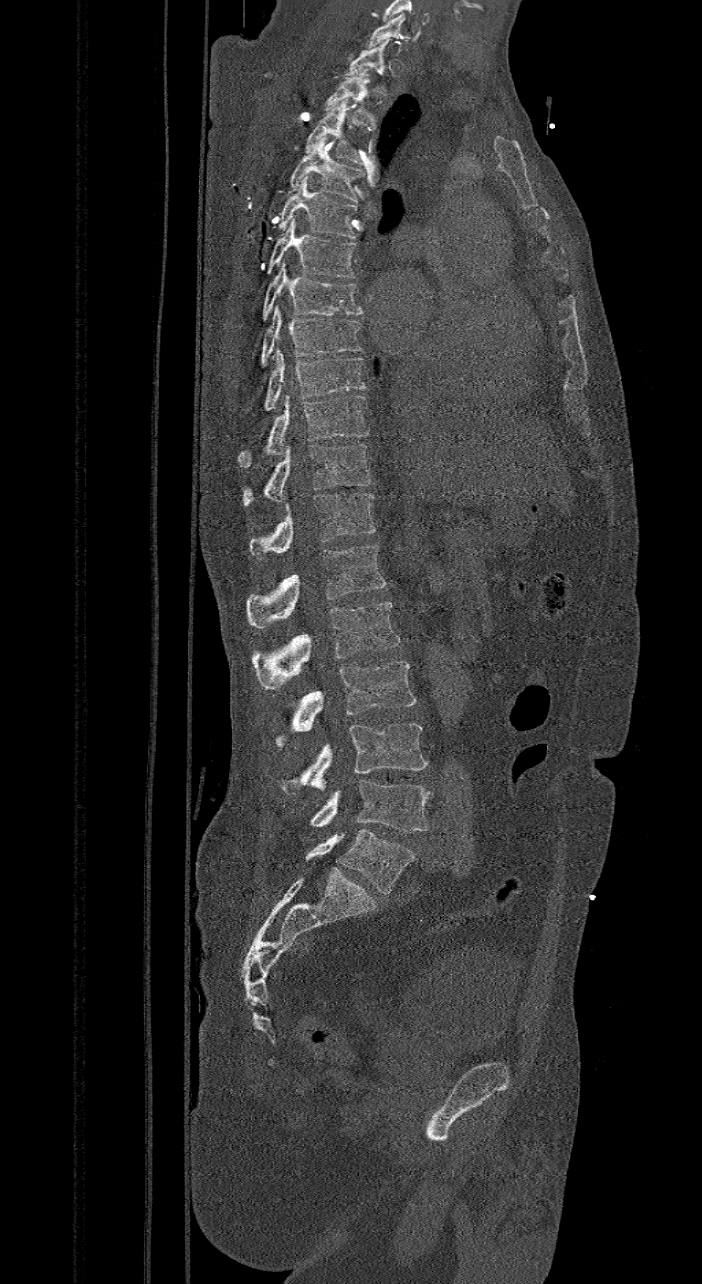
CT, spine; sagittal reformat; image width 421 mm; Bone window (WL 400, WW 1800); 702x1284 px

Each box is [x1, y1, x2, y2] in pixels: top-left corner, then bottom-right corner.
These labels give the spine a sixth lumbar vertebra, L6, below L5.
{"vertebrae":{"L6":[306,829,414,893],"L5":[308,779,432,832],"L4":[278,723,427,793],"L3":[275,661,416,748],"L2":[252,600,399,690],"L1":[247,545,385,628],"T12":[248,492,376,560],"T11":[241,444,370,506],"T10":[238,395,369,467],"T9":[263,350,366,412],"T8":[260,305,362,367],"T7":[262,261,364,320],"T6":[264,216,358,277],"T5":[277,175,357,238],"T4":[288,136,365,203],"T3":[306,99,361,163],"T2":[325,69,377,130],"T1":[345,39,391,94],"C7":[366,14,406,48]}}